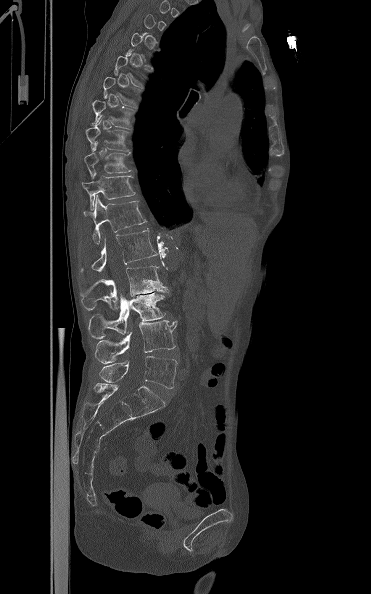 Spine CT — sagittal reformat — bone-window reconstruction — the image is 371 mm wide
Each box given as x1,y1,x2,y2.
A vertebra gets a box only on the slices from the first to the last where its cross-section is at least a third of its largest; on a slice outside that range it gets none.
L5: x1=99, y1=356, x2=177, y2=388
L4: x1=95, y1=320, x2=177, y2=364
L3: x1=88, y1=292, x2=168, y2=339
L2: x1=81, y1=266, x2=168, y2=310
L1: x1=80, y1=228, x2=158, y2=272
T12: x1=83, y1=195, x2=146, y2=244
T11: x1=82, y1=169, x2=135, y2=210
T10: x1=84, y1=142, x2=131, y2=177
T9: x1=86, y1=118, x2=128, y2=150
T8: x1=90, y1=95, x2=135, y2=128
T7: x1=103, y1=77, x2=138, y2=108